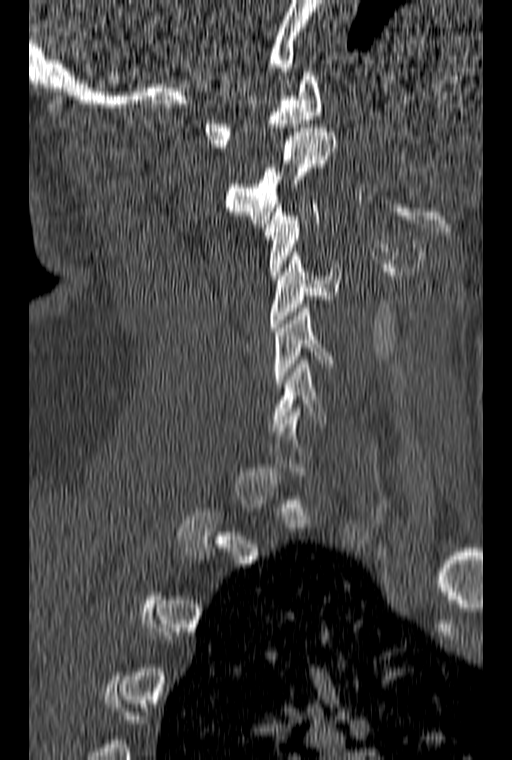

Spine CT; sagittal reformat; 160 mm wide; W/L 1800/400 HU; 512x760 px
Bounding boxes as [x1, y1, x2, y2] in pixel coordinates.
A vertebra gets a box only on the slices from the first to the last where its cross-section is at least a third of its largest; on a slice outside that range it gets none.
Vertebra bounding boxes:
- C6: [272, 360, 327, 427]
- C5: [273, 304, 334, 387]
- C4: [270, 252, 339, 331]
- C3: [264, 200, 319, 279]
- C2: [225, 128, 336, 223]
- C1: [201, 72, 322, 147]